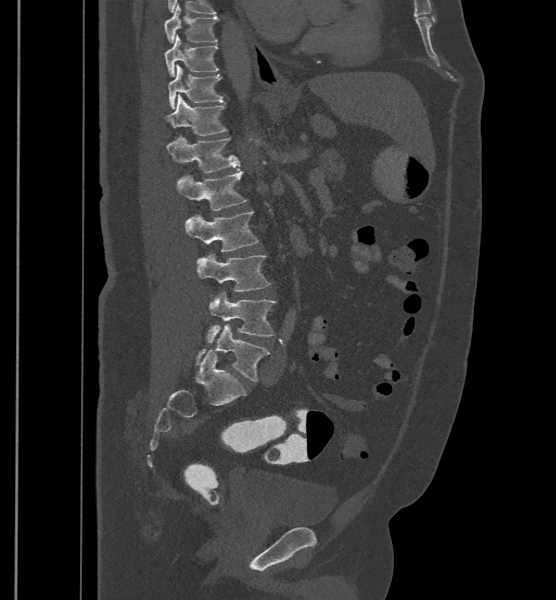 Spine CT · sagittal view · bone-window reconstruction · 500 mm wide · 556x600 px
Each box given as x1,y1,x2,y2.
In these labels the spine has an L6, a sixth lumbar vertebra below L5.
Vertebra bounding boxes:
- T9: x1=165, y1=3, x2=218, y2=42
- T10: x1=165, y1=34, x2=219, y2=77
- T11: x1=168, y1=64, x2=223, y2=109
- T12: x1=165, y1=94, x2=227, y2=136
- L1: x1=167, y1=136, x2=240, y2=172
- L2: x1=177, y1=170, x2=246, y2=210
- L3: x1=186, y1=211, x2=258, y2=251
- L4: x1=196, y1=253, x2=270, y2=291
- L5: x1=206, y1=292, x2=276, y2=343
- L6: x1=195, y1=324, x2=269, y2=381